CT · sagittal view · 512x709 px · 8 vertebrae labeled in this scan
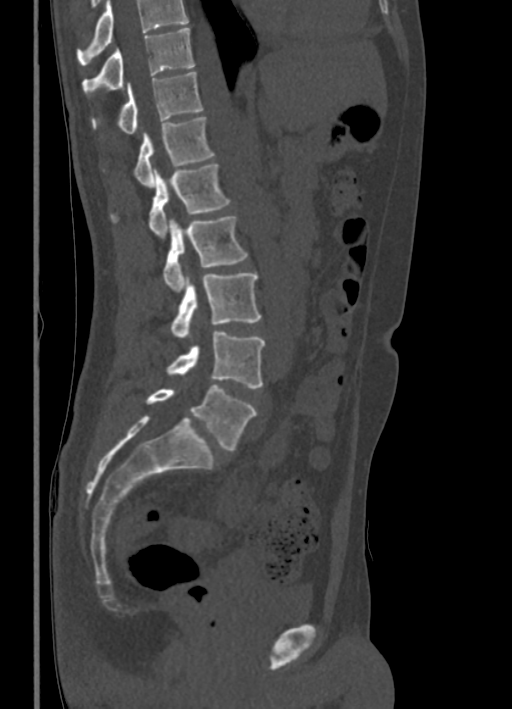
Columns x1, y1, x2, y2 give each box's top-left and bottom-right pixels.
Where the top of the scan cuts through a vertebra, that vertebra gets no label or box.
| vertebra | x1 | y1 | x2 | y2 |
|---|---|---|---|---|
| T10 | 82 | 27 | 194 | 95 |
| T11 | 91 | 72 | 203 | 133 |
| T12 | 134 | 117 | 214 | 187 |
| L1 | 111 | 163 | 229 | 238 |
| L2 | 163 | 216 | 247 | 292 |
| L3 | 170 | 273 | 261 | 339 |
| L4 | 167 | 331 | 264 | 388 |
| L5 | 146 | 385 | 256 | 450 |